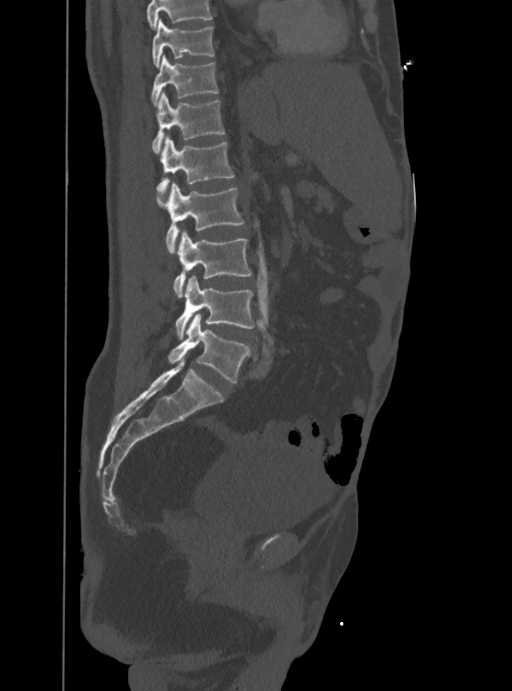 Computed tomography of the spine — sagittal reformat — the image spans 388 mm across

No box is given to a vertebra that the top edge of the scan cuts off.
<vertebrae><v name="L5" x1="167" y1="314" x2="247" y2="383"/><v name="L4" x1="175" y1="276" x2="254" y2="337"/><v name="L3" x1="173" y1="230" x2="251" y2="297"/><v name="L2" x1="157" y1="183" x2="243" y2="252"/><v name="L1" x1="157" y1="135" x2="234" y2="201"/><v name="T12" x1="152" y1="93" x2="224" y2="153"/><v name="T11" x1="152" y1="56" x2="218" y2="106"/><v name="T10" x1="152" y1="18" x2="214" y2="67"/></vertebrae>